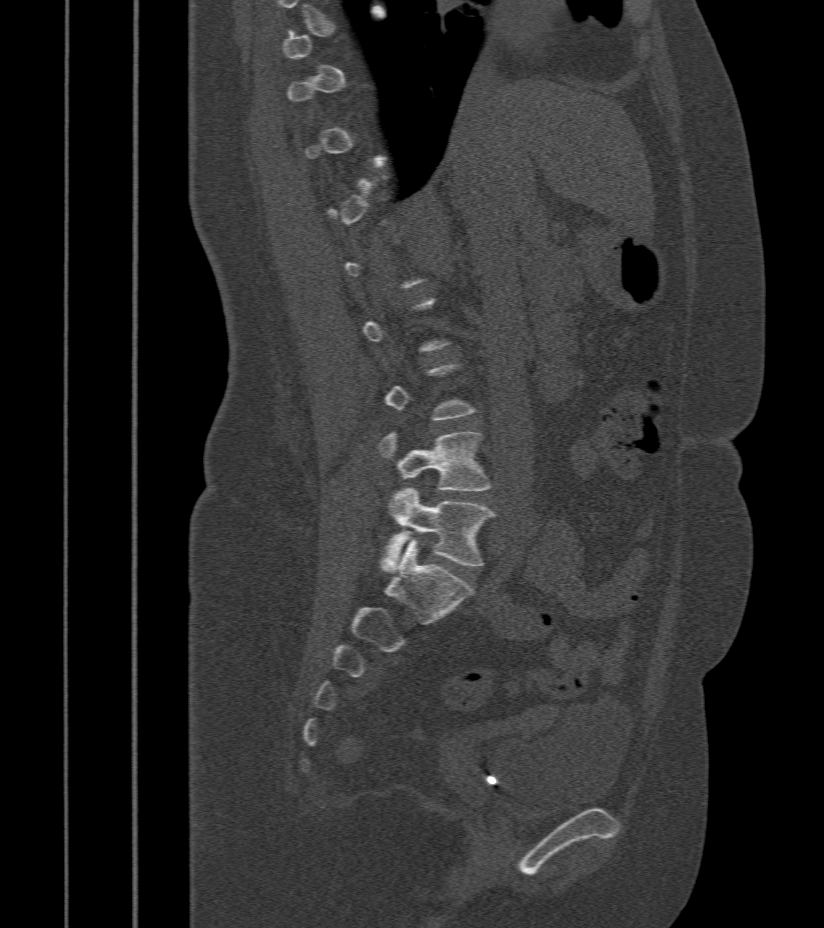

Computed tomography of the spine — sagittal view — bone-window reconstruction
Boxes below are [x1, y1, x2, y2] in pixels.
A vertebra is boxed only from the first to the last slice where its cross-section is at least a third of its largest; slices outside that range leave it without a box.
{"vertebrae":{"L4":[378,431,491,490],"L5":[381,487,495,572]}}